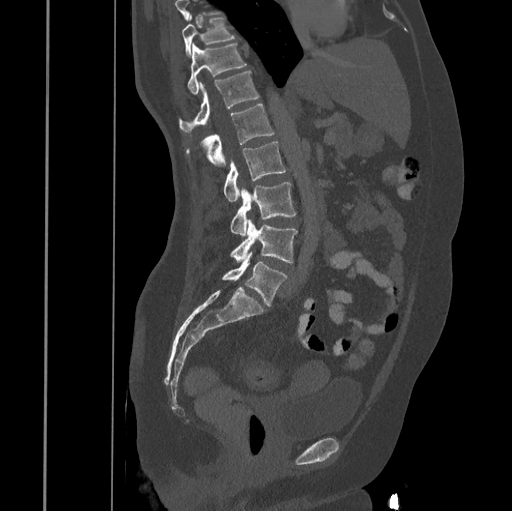

Computed tomography of the spine · sagittal view · bone-window reconstruction. Bounding boxes as [x1, y1, x2, y2] in pixel coordinates.
Vertebrae that run past the top of the scan are left unlabeled.
Vertebra bounding boxes:
- T10: [182, 14, 236, 57]
- T11: [187, 43, 246, 94]
- T12: [178, 71, 259, 133]
- L1: [186, 104, 274, 167]
- L2: [223, 141, 285, 201]
- L3: [230, 181, 296, 236]
- L4: [230, 218, 297, 263]
- L5: [222, 252, 288, 306]